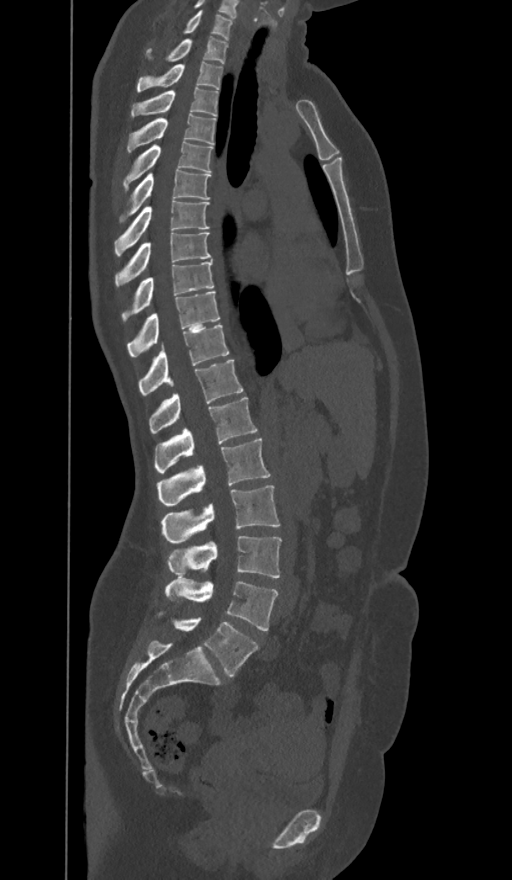
CT; sagittal view; Bone window (WL 400, WW 1800); 374 mm wide
Box values are [left, top, right, bottom] in pixels.
In these labels the spine has an L6, a sixth lumbar vertebra below L5.
{"vertebrae":{"C7":[185,11,232,40],"T1":[146,37,227,63],"T2":[137,62,222,91],"T3":[131,87,218,116],"T4":[127,113,215,152],"T5":[123,140,212,190],"T6":[119,169,210,222],"T7":[115,201,208,257],"T8":[115,233,211,286],"T9":[122,261,214,321],"T10":[127,291,219,356],"T11":[138,324,229,396],"T12":[149,360,242,433],"L1":[155,397,256,472],"L2":[157,439,270,507],"L3":[161,485,279,542],"L4":[167,536,281,578],"L5":[165,579,278,630],"L6":[159,611,258,677]}}